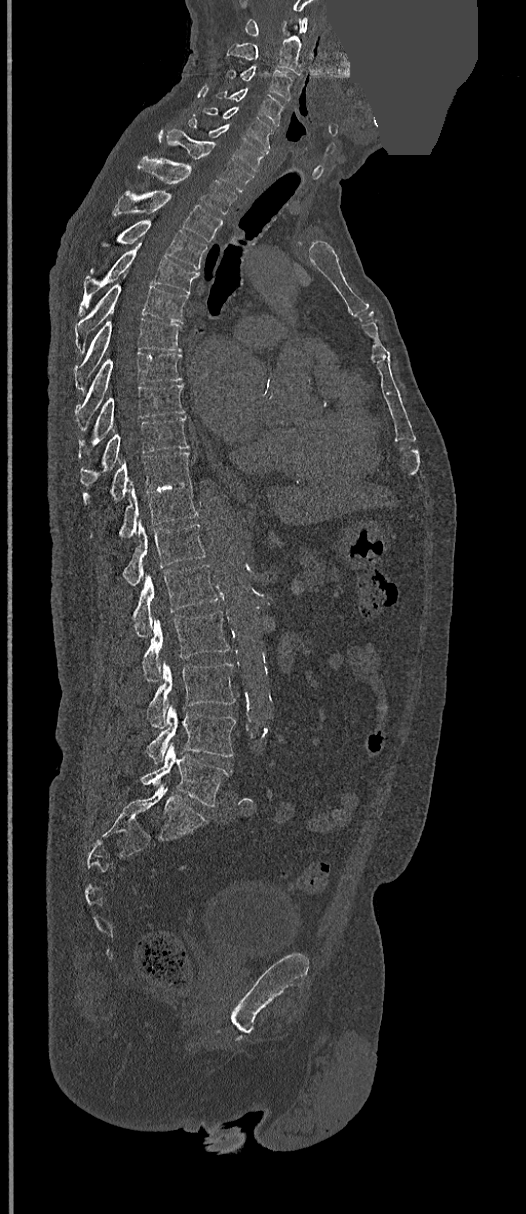
CT spine; sagittal view; some of the image was removed or blocked out with constant pixels
Bounding boxes as [x1, y1, x2, y2] in pixel coordinates. The labeled vertebrae in this slice are: C1 at [245, 17, 307, 36], C2 at [226, 26, 301, 75], C3 at [228, 66, 293, 100], C4 at [215, 87, 283, 125], C5 at [203, 107, 273, 149], C6 at [187, 116, 265, 172], C7 at [158, 129, 253, 192], T1 at [137, 157, 236, 213], T2 at [113, 191, 222, 242], T3 at [103, 220, 207, 269], T4 at [80, 243, 199, 313], T5 at [76, 275, 187, 350], T6 at [74, 319, 180, 390], T7 at [76, 353, 182, 423], T8 at [80, 384, 185, 446], T9 at [81, 417, 189, 485], T10 at [84, 451, 190, 503], T11 at [118, 481, 197, 538], T12 at [122, 520, 206, 586], L1 at [132, 564, 218, 636], L2 at [142, 611, 229, 682], L3 at [147, 661, 234, 728], L4 at [147, 704, 236, 765], L5 at [142, 743, 232, 806].